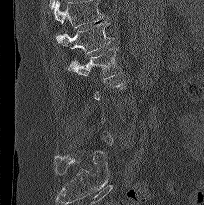

CT · sagittal view · 204 mm image width · 204x205 px

Each box given as x1,y1,x2,y2. Not every vertebra on this slice has a box: a vertebra is boxed only from the first to the last slice where its cross-section is at least a third of its largest, and this slice is outside that range for at least one of them. Vertebrae that run past the top of the scan are left unlabeled. The labeled vertebrae in this slice are: L2 at x1=68, y1=47, x2=121, y2=82, L1 at x1=56, y1=21, x2=113, y2=53.